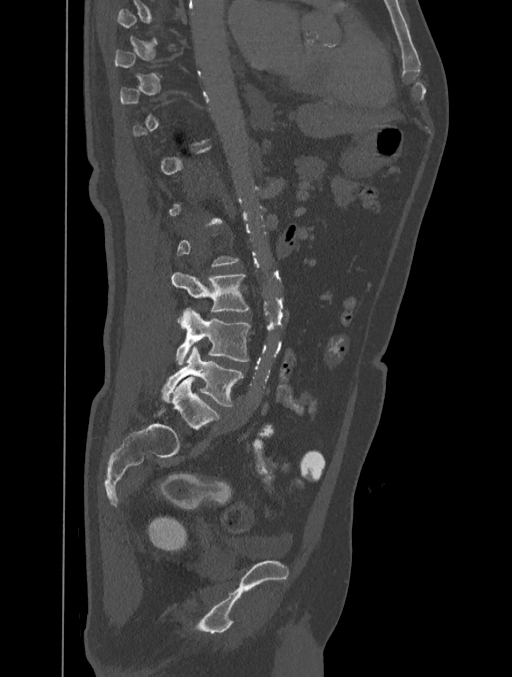 CT, spine — sagittal reformat
Each vertebra is boxed only on the slices from the first to the last where its cross-section reaches a third of its largest, so a slice outside that range leaves it unboxed.
<vertebrae><v name="L5" x1="162" y1="346" x2="244" y2="407"/><v name="L4" x1="176" y1="308" x2="250" y2="364"/><v name="L3" x1="171" y1="271" x2="249" y2="322"/></vertebrae>